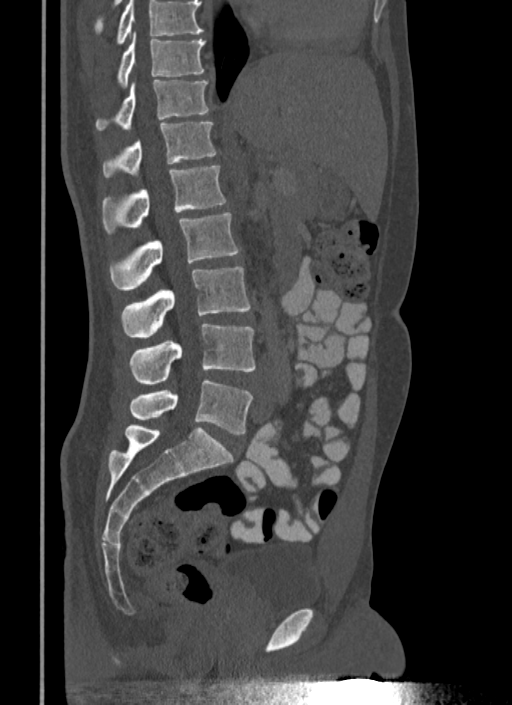
CT; sagittal reformat; bone window
Vertebrae that run past the top of the scan are left unlabeled.
<vertebrae><v name="T10" x1="117" y1="32" x2="205" y2="86"/><v name="T11" x1="96" y1="80" x2="211" y2="130"/><v name="T12" x1="102" y1="122" x2="216" y2="177"/><v name="L1" x1="102" y1="166" x2="226" y2="231"/><v name="L2" x1="111" y1="212" x2="238" y2="290"/><v name="L3" x1="122" y1="267" x2="250" y2="338"/><v name="L4" x1="129" y1="324" x2="255" y2="385"/><v name="L5" x1="129" y1="379" x2="253" y2="434"/></vertebrae>